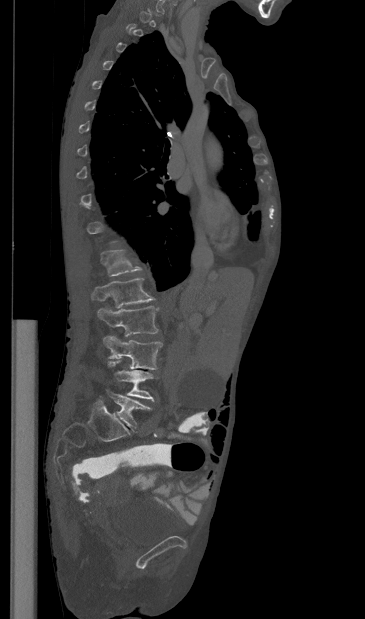

CT; 365 mm wide; sagittal view; Bone window (WL 400, WW 1800); 365x619 px
Bounding boxes as [x1, y1, x2, y2] in pixel coordinates. Not every vertebra on this slice has a box: a vertebra is boxed only from the first to the last slice where its cross-section is at least a third of its largest, and this slice is outside that range for at least one of them. 6 vertebrae labeled — T12 at [101, 250, 141, 276]; L1 at [91, 278, 154, 308]; L2 at [97, 306, 158, 336]; L3 at [103, 336, 162, 369]; L4 at [108, 360, 154, 401]; L5 at [108, 392, 151, 430].